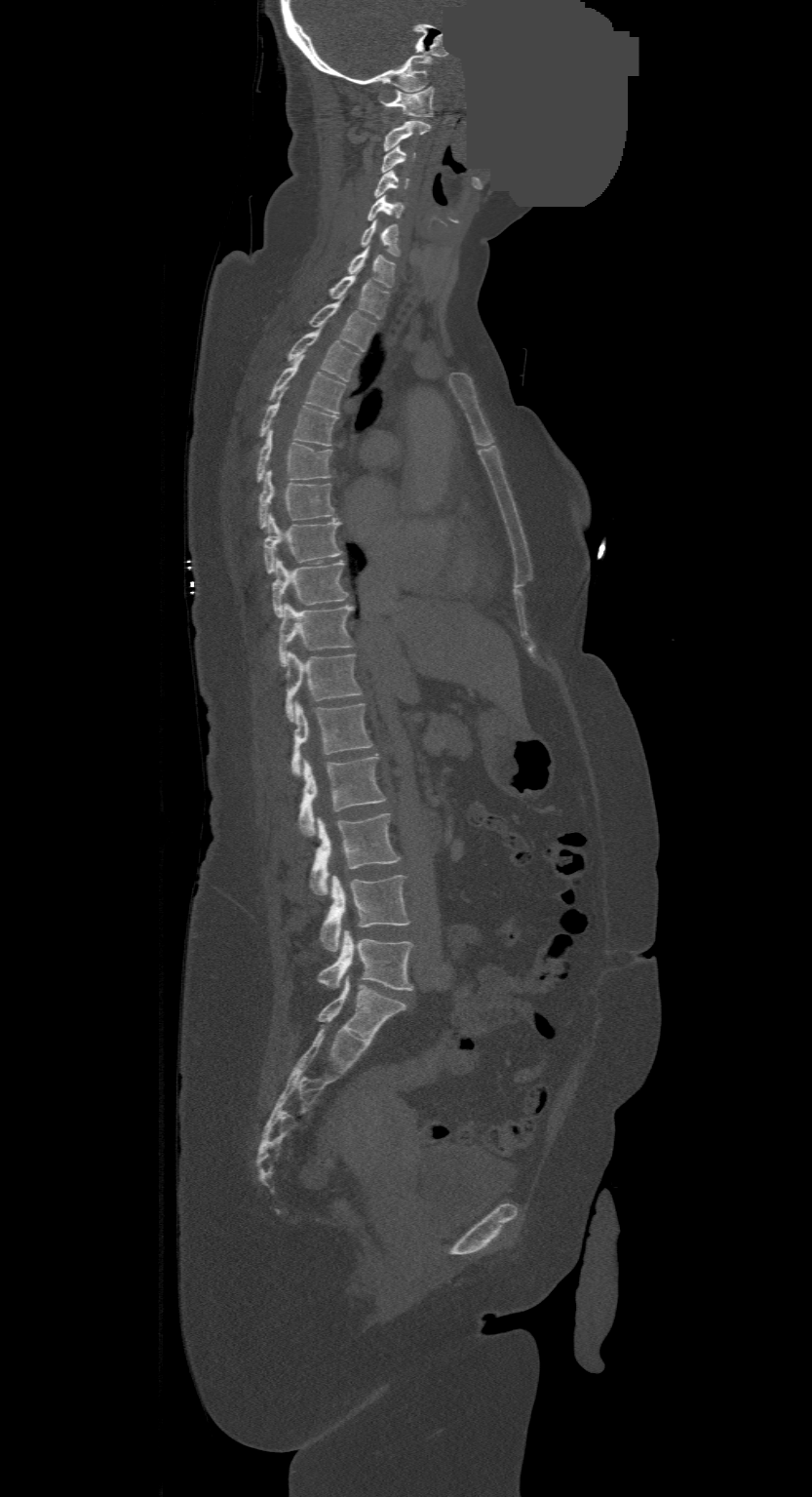

CT, spine. sagittal reformat. bone-window reconstruction. a portion of the image is blanked out (constant pixel value). Bounding boxes as [x1, y1, x2, y2] in pixel coordinates.
Labels in this scan begin with C1 at the top and end with L4 at the bottom.
Vertebra bounding boxes:
- L4: [319, 930, 413, 989]
- L3: [321, 875, 408, 950]
- L2: [311, 813, 399, 895]
- L1: [298, 755, 386, 835]
- T12: [290, 702, 370, 774]
- T11: [284, 652, 361, 720]
- T10: [278, 604, 353, 666]
- T9: [271, 558, 348, 617]
- T8: [263, 514, 342, 573]
- T7: [258, 470, 333, 528]
- T6: [257, 431, 332, 482]
- T5: [260, 390, 337, 445]
- T4: [270, 356, 345, 413]
- T3: [288, 329, 359, 381]
- T2: [311, 299, 375, 350]
- T1: [330, 273, 389, 318]
- C7: [347, 246, 394, 287]
- C6: [360, 219, 399, 255]
- C5: [367, 195, 404, 220]
- C4: [374, 170, 408, 198]
- C3: [382, 145, 414, 172]
- C2: [384, 121, 429, 150]
- C1: [381, 87, 432, 116]